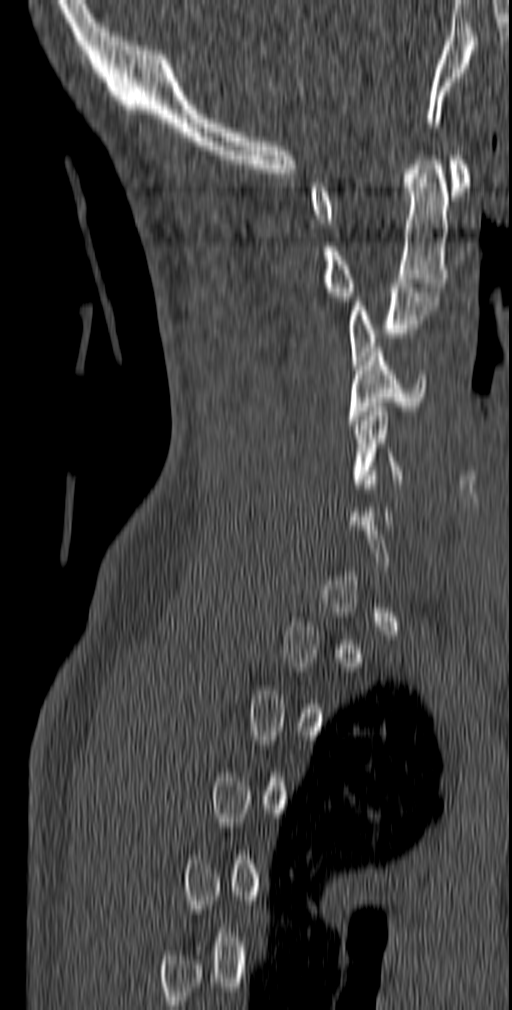
Computed tomography of the spine; sagittal view; bone-window reconstruction
Boxes: x1:y1:x2:y2 in pixels. Each vertebra is boxed only on the slices from the first to the last where its cross-section reaches a third of its largest, so a slice outside that range leaves it unboxed. Vertebrae labeled: C1 at 309:155:470:223, C2 at 323:151:449:301, C3 at 349:283:439:369, C4 at 348:347:427:424, C5 at 351:407:403:488.